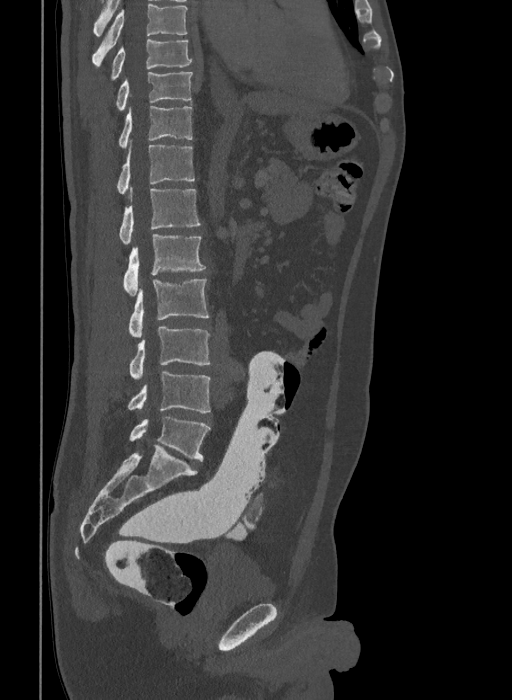
Spine computed tomography; sagittal view; image 409 mm wide; 512x700 px

This scan's labels start at T9 at the top and end at L6 at the bottom.
These labels give the spine a sixth lumbar vertebra, L6, below L5.
<vertebrae><v name="T9" x1="111" y1="38" x2="192" y2="79"/><v name="T10" x1="116" y1="71" x2="193" y2="111"/><v name="T11" x1="119" y1="106" x2="192" y2="148"/><v name="T12" x1="116" y1="145" x2="194" y2="196"/><v name="L1" x1="119" y1="189" x2="200" y2="243"/><v name="L2" x1="123" y1="234" x2="205" y2="295"/><v name="L3" x1="129" y1="279" x2="209" y2="337"/><v name="L4" x1="130" y1="327" x2="210" y2="379"/><v name="L5" x1="128" y1="371" x2="210" y2="412"/><v name="L6" x1="129" y1="416" x2="210" y2="461"/></vertebrae>